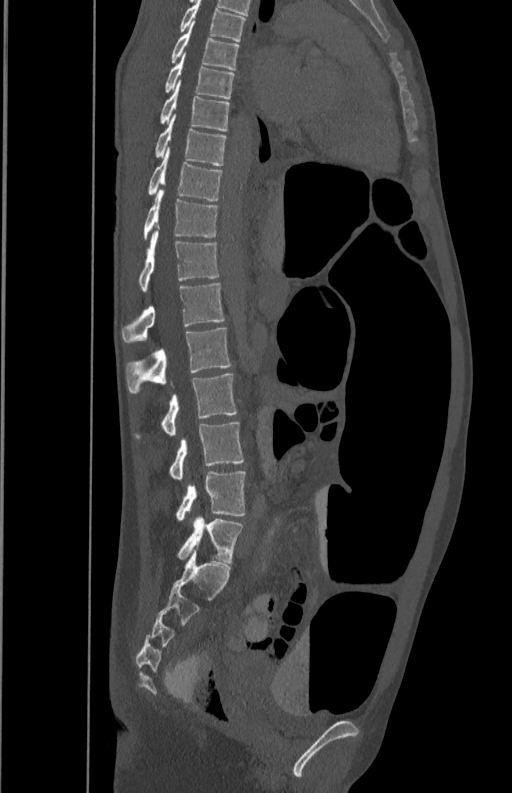

Computed tomography of the spine; sagittal view; bone-window reconstruction; 512x793 px. Columns x1, y1, x2, y2 give each box's top-left and bottom-right pixels.
| vertebra | x1 | y1 | x2 | y2 |
|---|---|---|---|---|
| T5 | 180 | 1 | 245 | 41 |
| T6 | 171 | 21 | 239 | 69 |
| T7 | 165 | 54 | 234 | 98 |
| T8 | 161 | 84 | 230 | 131 |
| T9 | 155 | 116 | 226 | 165 |
| T10 | 149 | 149 | 223 | 200 |
| T11 | 143 | 188 | 218 | 239 |
| T12 | 139 | 229 | 220 | 291 |
| L1 | 121 | 283 | 226 | 343 |
| L2 | 126 | 328 | 231 | 393 |
| L3 | 134 | 373 | 237 | 439 |
| L4 | 168 | 421 | 245 | 478 |
| L5 | 175 | 471 | 246 | 519 |